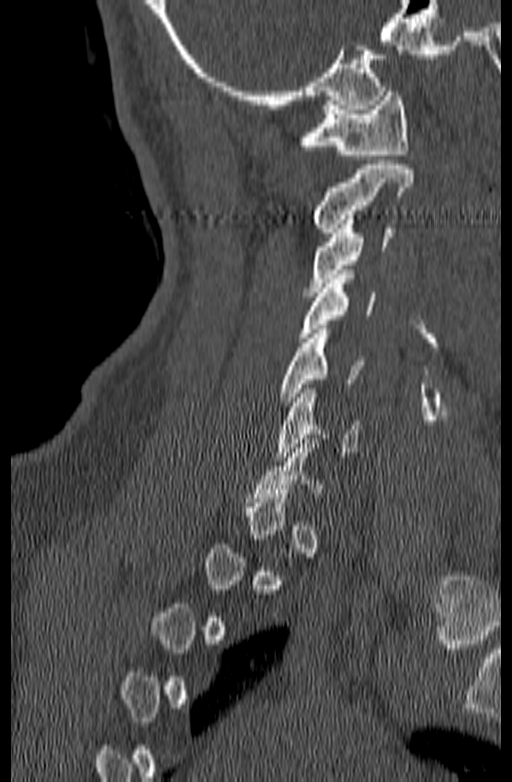

CT, spine — sagittal view — 512x782 px
Each box is [x1, y1, x2, y2] in pixels: top-left corner, then bottom-right corner.
Each vertebra is boxed only on the slices from the first to the last where its cross-section reaches a third of its largest, so a slice outside that range leaves it unboxed.
{"vertebrae":{"C6":[275,389,360,461],"C5":[279,329,365,406],"C4":[298,274,375,342],"C3":[306,215,392,296],"C2":[312,160,413,232],"C1":[300,87,409,159]}}